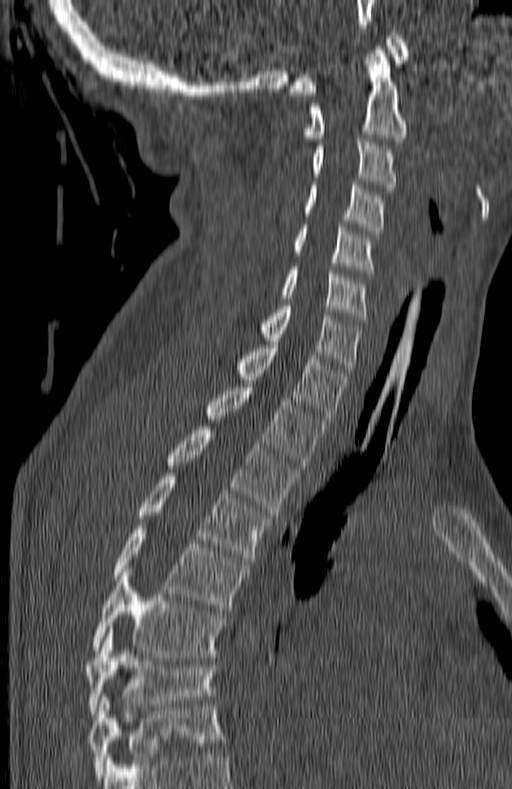
Computed tomography of the spine; sagittal view; bone-window reconstruction; 512x789 px
Boxes below are [x1, y1, x2, y2] in pixels.
In this scan, the topmost labeled vertebra is C1 and the lowest is T7.
{"vertebrae":{"C1":[289,32,408,95],"C2":[302,46,407,141],"C3":[311,142,395,191],"C4":[302,181,384,234],"C5":[294,224,375,273],"C6":[280,267,367,323],"C7":[260,302,361,376],"T1":[234,341,347,422],"T2":[206,384,324,468],"T3":[166,427,296,515],"T4":[137,473,270,561],"T5":[112,526,245,611],"T6":[92,569,225,657],"T7":[86,629,216,714]}}